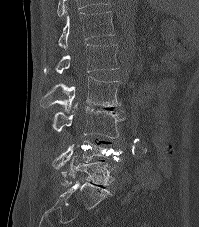 Spine computed tomography; sagittal reformat; W/L 1800/400 HU; 199x227 px; image 199 mm wide. Boxes: x1 y1 x2 y2 (pixel coords, space-separated). Labels in this scan begin with T12 at the top and end with L5 at the bottom. Vertebrae labeled: T12 at 58 11 115 51, L1 at 44 44 118 74, L2 at 39 77 120 113, L3 at 53 105 126 138, L4 at 51 137 123 170, L5 at 61 155 113 187.